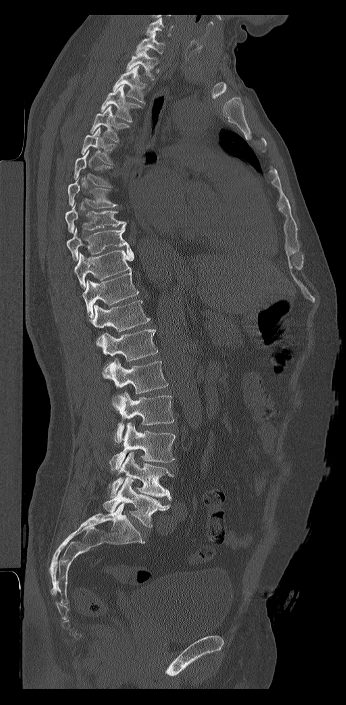
Spine CT — sagittal view — W/L 1800/400 HU — 346x705 px
Box values are [left, top, right, bottom] in pixels.
In this scan, the topmost labeled vertebra is C7 and the lowest is L6.
These labels give the spine a sixth lumbar vertebra, L6, below L5.
{"vertebrae":{"L6":[103,478,170,528],"L5":[108,451,173,500],"L4":[109,422,175,471],"L3":[114,391,174,443],"L2":[102,358,168,410],"L1":[102,329,158,361],"T12":[89,300,150,346],"T11":[82,271,138,318],"T10":[74,246,133,288],"T9":[66,225,128,261],"T8":[65,203,126,233],"T7":[68,175,117,208],"T6":[74,150,112,187],"T5":[81,127,116,164],"T4":[89,106,129,142],"T3":[100,84,143,122],"T2":[112,66,147,103],"T1":[126,48,157,80],"C7":[135,32,165,54]}}